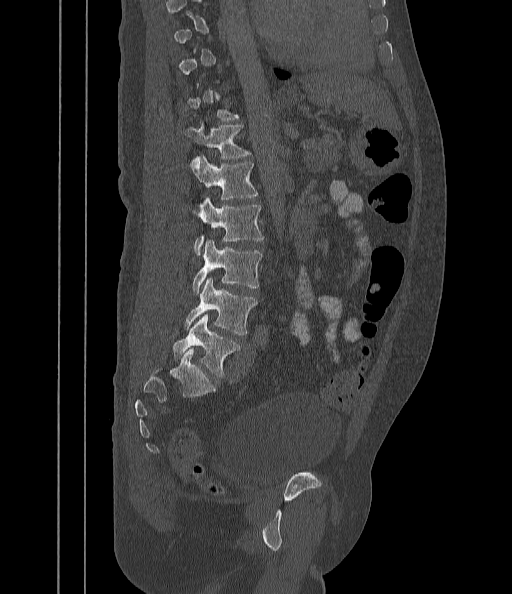

Spine computed tomography — sagittal view — bone-window reconstruction
Boxes are (x1, y1, x2, y2) in pixels.
Each vertebra is boxed only on the slices from the first to the last where its cross-section reaches a third of its largest, so a slice outside that range leaves it unboxed.
Vertebra bounding boxes:
- T12: (183, 120, 250, 159)
- L1: (192, 156, 258, 202)
- L2: (195, 196, 264, 254)
- L3: (192, 240, 262, 294)
- L4: (184, 278, 257, 334)
- L5: (173, 314, 240, 378)